Spine computed tomography; sagittal plane, index 288; scan covers 19 annotated vertebrae
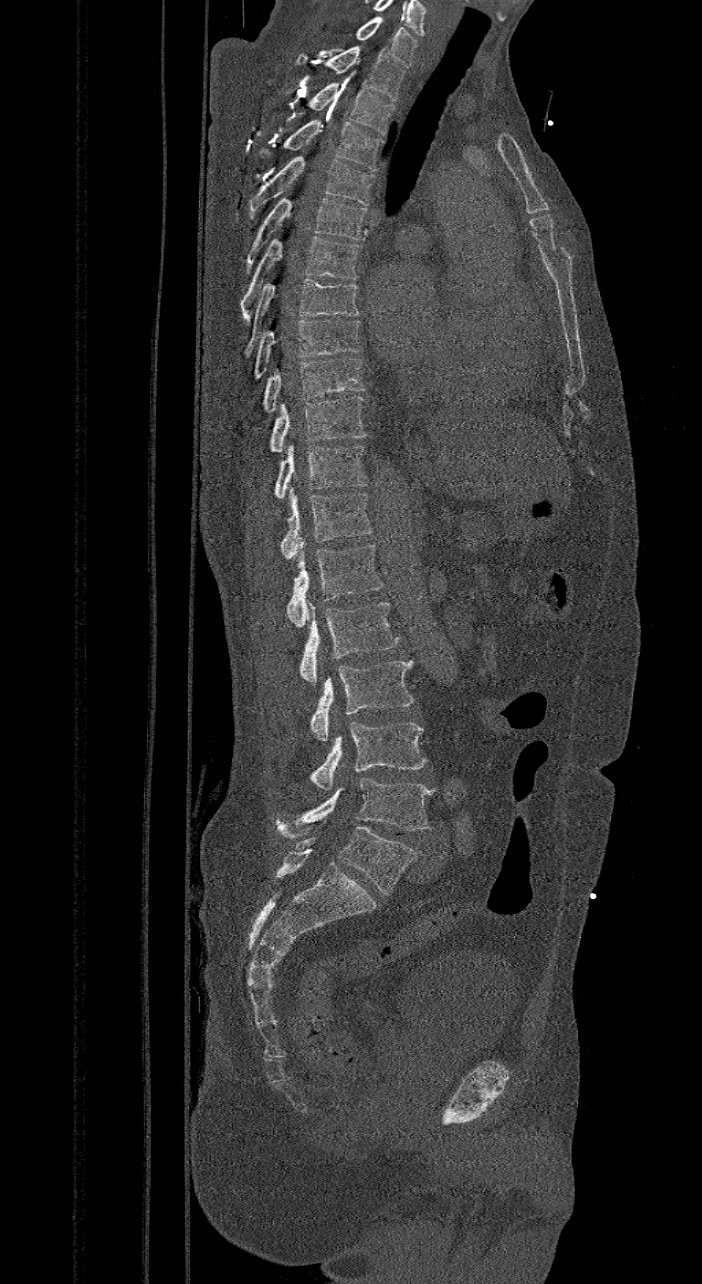
Coordinates as <box>x1,y1,x2,y2</box>.
The highest labeled vertebra in this scan is C7; the lowest is L6.
These labels give the spine a sixth lumbar vertebra, L6, below L5.
C7: <box>356,17,417,68</box>
T1: <box>295,45,406,100</box>
T2: <box>307,82,394,135</box>
T3: <box>258,119,383,170</box>
T4: <box>247,156,375,219</box>
T5: <box>243,197,366,273</box>
T6: <box>240,235,359,324</box>
T7: <box>243,278,359,357</box>
T8: <box>252,320,361,381</box>
T9: <box>244,357,365,431</box>
T10: <box>269,395,368,452</box>
T11: <box>273,445,368,498</box>
T12: <box>280,488,372,560</box>
L1: <box>286,545,384,626</box>
L2: <box>299,602,399,685</box>
L3: <box>310,661,414,740</box>
L4: <box>308,723,425,790</box>
L5: <box>275,778,432,840</box>
L6: <box>277,826,417,895</box>